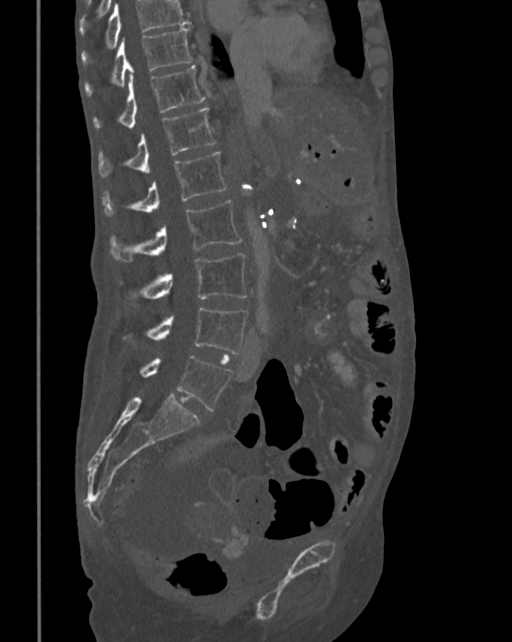
CT · sagittal reformat · 512x642 px
Coordinates as <box>x1,y1,x2,y2</box>.
Vertebrae that run past the top of the scan are left unlabeled.
Vertebra bounding boxes:
- T10: <box>84,26,193,95</box>
- T11: <box>93,65,205,128</box>
- T12: <box>99,107,216,176</box>
- L1: <box>103,152,226,215</box>
- L2: <box>109,199,243,261</box>
- L3: <box>128,254,247,303</box>
- L4: <box>124,307,247,354</box>
- L5: <box>139,355,232,411</box>